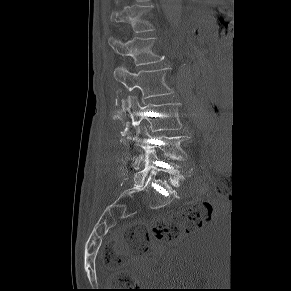

CT spine — sagittal reformat — 291x291 px — 291 mm image width. Box edges are left/top/right/bottom in pixels.
Vertebra bounding boxes:
- L5: left=134, top=149, right=192, bottom=186
- L4: left=132, top=126, right=190, bottom=169
- L3: left=128, top=96, right=181, bottom=131
- L2: left=114, top=66, right=173, bottom=111
- L1: left=109, top=37, right=163, bottom=65
- T12: left=110, top=4, right=154, bottom=32